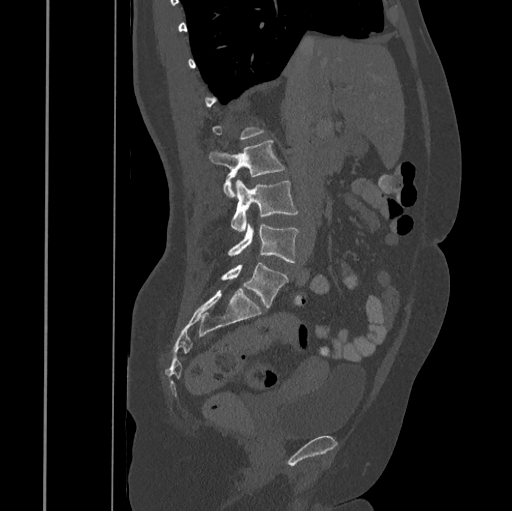
CT spine · sagittal view
Bounding boxes as [x1, y1, x2, y2] in pixel coordinates.
Not every vertebra on this slice has a box: a vertebra is boxed only from the first to the last slice where its cross-section is at least a third of its largest, and this slice is outside that range for at least one of them.
Vertebra bounding boxes:
- L5: [221, 262, 288, 308]
- L4: [228, 223, 299, 262]
- L3: [231, 179, 298, 231]
- L2: [209, 140, 284, 197]